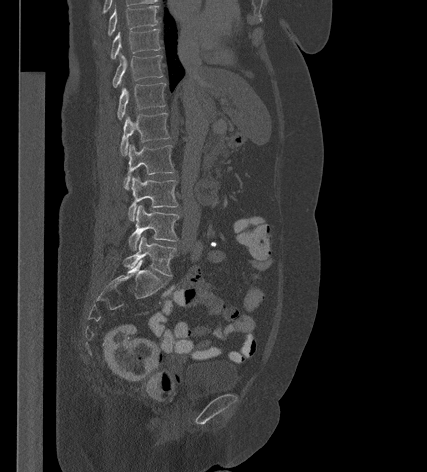

CT; sagittal view
<vertebrae><v name="T9" x1="108" y1="5" x2="158" y2="35"/><v name="T10" x1="111" y1="29" x2="160" y2="58"/><v name="T11" x1="113" y1="53" x2="162" y2="87"/><v name="T12" x1="117" y1="83" x2="165" y2="119"/><v name="L1" x1="120" y1="113" x2="170" y2="155"/><v name="L2" x1="125" y1="143" x2="174" y2="187"/><v name="L3" x1="128" y1="176" x2="178" y2="220"/><v name="L4" x1="128" y1="205" x2="179" y2="250"/><v name="L5" x1="123" y1="235" x2="176" y2="276"/></vertebrae>